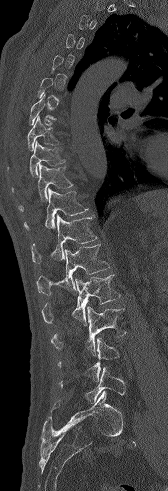 Computed tomography of the spine. sagittal view. W/L 1800/400 HU. the image is 168 mm wide
Each vertebra is boxed only on the slices from the first to the last where its cross-section reaches a third of its largest, so a slice outside that range leaves it unboxed.
<vertebrae><v name="L5" x1="59" y1="367" x2="125" y2="403"/><v name="L3" x1="51" y1="306" x2="126" y2="355"/><v name="L2" x1="41" y1="274" x2="120" y2="325"/><v name="L1" x1="36" y1="244" x2="109" y2="295"/><v name="T12" x1="31" y1="214" x2="97" y2="263"/><v name="T11" x1="23" y1="188" x2="88" y2="229"/><v name="T10" x1="18" y1="163" x2="73" y2="211"/><v name="T9" x1="11" y1="140" x2="65" y2="192"/><v name="T8" x1="7" y1="115" x2="60" y2="171"/></vertebrae>